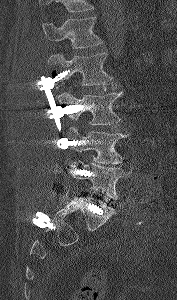
Computed tomography of the spine. sagittal view. 177x300 px

Each box given as x1,y1,x2,y2. Vertebrae that run past the top of the scan are left unlabeled. The labeled vertebrae in this slice are: L1 at x1=42, y1=17, x2=103, y2=48, L2 at x1=48, y1=52, x2=113, y2=85, L3 at x1=58, y1=91, x2=123, y2=125, L4 at x1=64, y1=126, x2=128, y2=164, L5 at x1=69, y1=161, x2=128, y2=199.